Spine CT. 160 mm across the image. sagittal view. Bone window (WL 400, WW 1800). 512x696 px
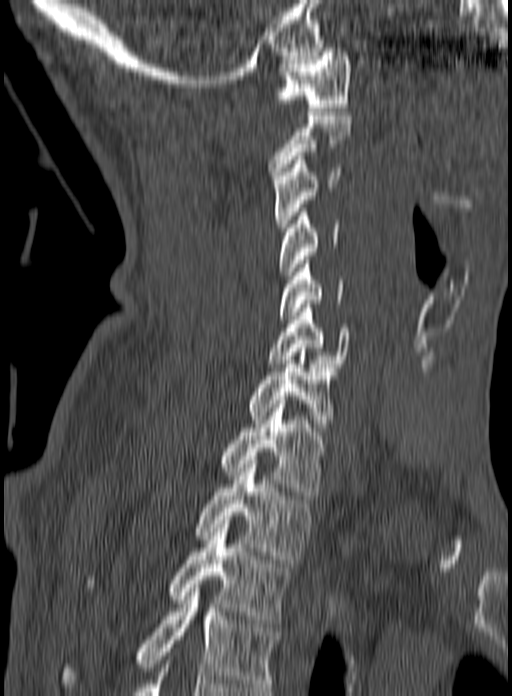
Boxes are (x1, y1, x2, y2) in pixels.
In this scan, the topmost labeled vertebra is C1 and the lowest is T3.
C1: (277, 48, 351, 111)
C2: (268, 112, 352, 179)
C3: (273, 156, 341, 231)
C4: (280, 204, 339, 279)
C5: (279, 260, 343, 319)
C6: (267, 304, 351, 367)
C7: (248, 348, 335, 431)
T1: (219, 400, 334, 499)
T2: (196, 464, 311, 559)
T3: (87, 516, 291, 623)